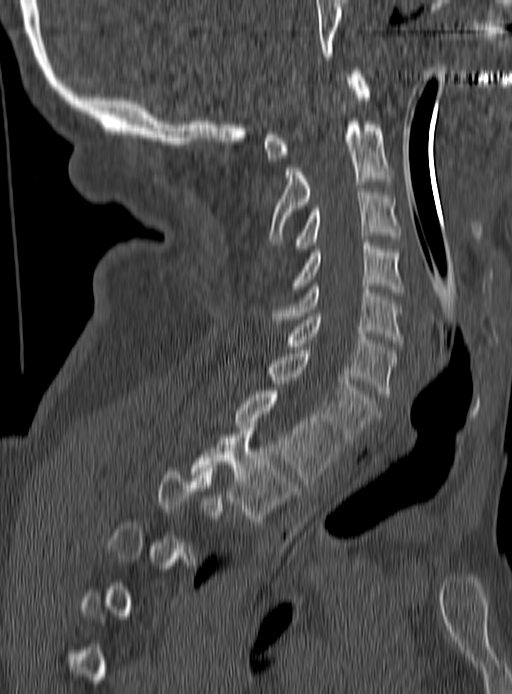 CT · sagittal view · image width 190 mm · 512x694 px
Bounding boxes as [x1, y1, x2, y2] in pixel coordinates.
A vertebra is boxed only from the first to the last slice where its cross-section is at least a third of its largest; slices outside that range leave it without a box.
C1: [264, 71, 369, 161]
C2: [268, 118, 391, 242]
C3: [295, 189, 399, 252]
C4: [295, 243, 401, 292]
C5: [272, 283, 404, 343]
C6: [284, 313, 396, 396]
C7: [268, 350, 377, 444]
T1: [235, 391, 339, 484]
T2: [189, 424, 299, 524]